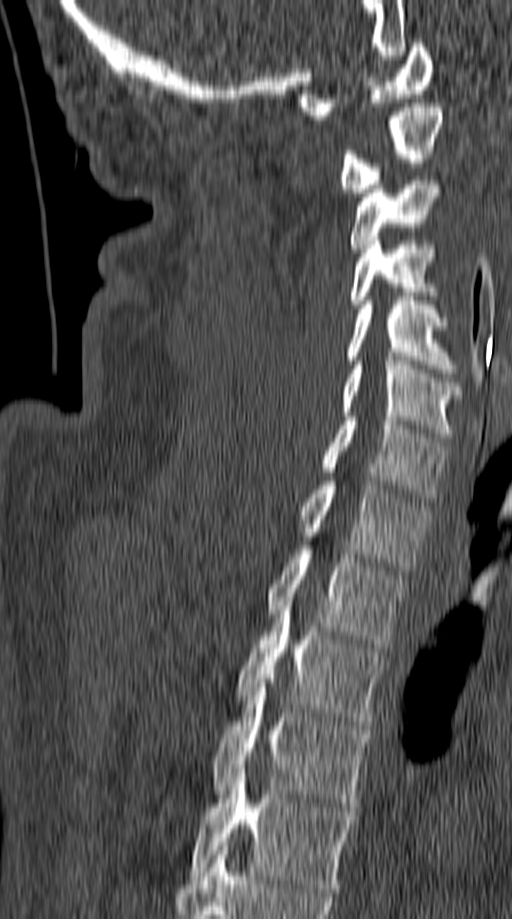

Spine computed tomography — sagittal view — W/L 1800/400 HU — 512x919 px
Boxes below are [x1, y1, x2, y2] in pixels.
{"vertebrae":{"C1":[299,43,434,119],"C2":[338,103,443,192],"C3":[350,176,441,252],"C4":[350,241,437,304],"C5":[347,296,457,373],"C6":[341,361,463,437],"C7":[321,417,447,502],"T1":[298,481,430,570],"T2":[266,550,406,648],"T3":[238,597,385,725],"T4":[211,683,371,807],"T5":[187,769,354,892]}}